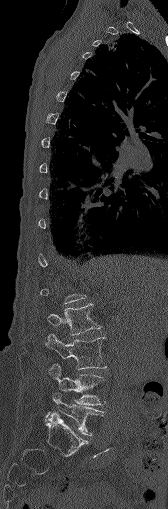
Computed tomography of the spine · sagittal view · 168x509 px · 168 mm image width

A vertebra is boxed only from the first to the last slice where its cross-section is at least a third of its largest; slices outside that range leave it without a box.
<vertebrae><v name="L2" x1="47" y1="304" x2="100" y2="335"/><v name="L3" x1="46" y1="334" x2="106" y2="369"/><v name="L4" x1="48" y1="364" x2="104" y2="404"/><v name="L5" x1="46" y1="393" x2="103" y2="435"/></vertebrae>